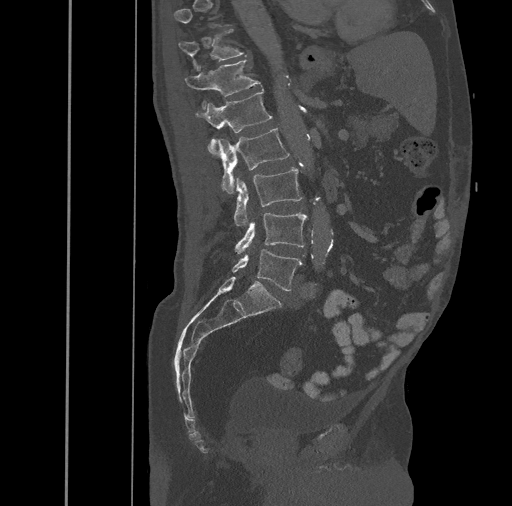

CT spine. 461 mm wide. sagittal view. 512x506 px
Each box given as x1,y1,x2,y2.
A vertebra is boxed only from the first to the last slice where its cross-section is at least a third of its largest; slices outside that range leave it without a box.
| vertebra | x1 | y1 | x2 | y2 |
|---|---|---|---|---|
| T11 | 179 | 30 | 243 | 68 |
| T12 | 184 | 61 | 260 | 109 |
| L1 | 195 | 89 | 271 | 155 |
| L2 | 217 | 128 | 289 | 193 |
| L3 | 234 | 167 | 302 | 226 |
| L4 | 235 | 213 | 307 | 254 |
| L5 | 232 | 249 | 302 | 291 |